Computed tomography of the spine. sagittal view
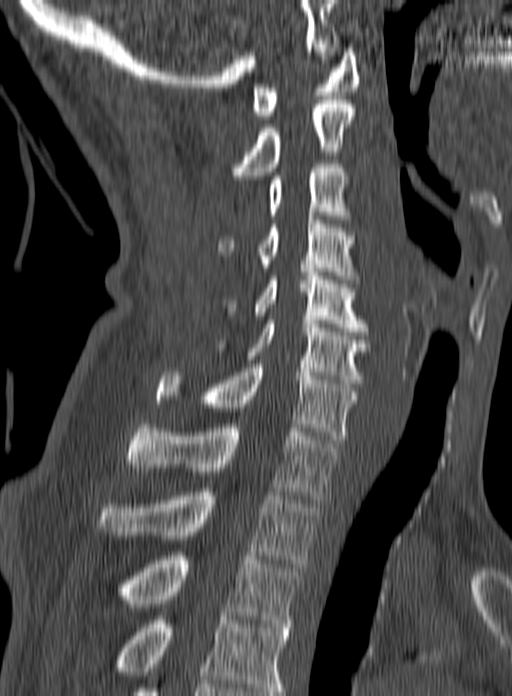 In the table, x1 and y1 are a box's top-left corner and x2 and y2 its bottom-right corner, in pixels.
The highest labeled vertebra in this scan is C1; the lowest is T3.
| vertebra | x1 | y1 | x2 | y2 |
|---|---|---|---|---|
| C1 | 251 | 48 | 359 | 119 |
| C2 | 231 | 100 | 355 | 179 |
| C3 | 267 | 164 | 349 | 219 |
| C4 | 218 | 212 | 359 | 287 |
| C5 | 216 | 272 | 368 | 335 |
| C6 | 215 | 320 | 369 | 383 |
| C7 | 155 | 364 | 357 | 443 |
| T1 | 126 | 420 | 339 | 499 |
| T2 | 97 | 488 | 317 | 567 |
| T3 | 120 | 552 | 301 | 627 |